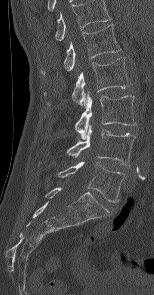
Spine CT · sagittal view · 154x295 px
Boxes: x1 y1 x2 y2 (pixel coords, space-separated).
Labels in this scan begin with L1 at the top and end with L5 at the bottom.
L5: 58 160 126 202
L4: 67 124 134 165
L3: 75 93 136 139
L2: 48 57 129 107
L1: 41 24 120 73